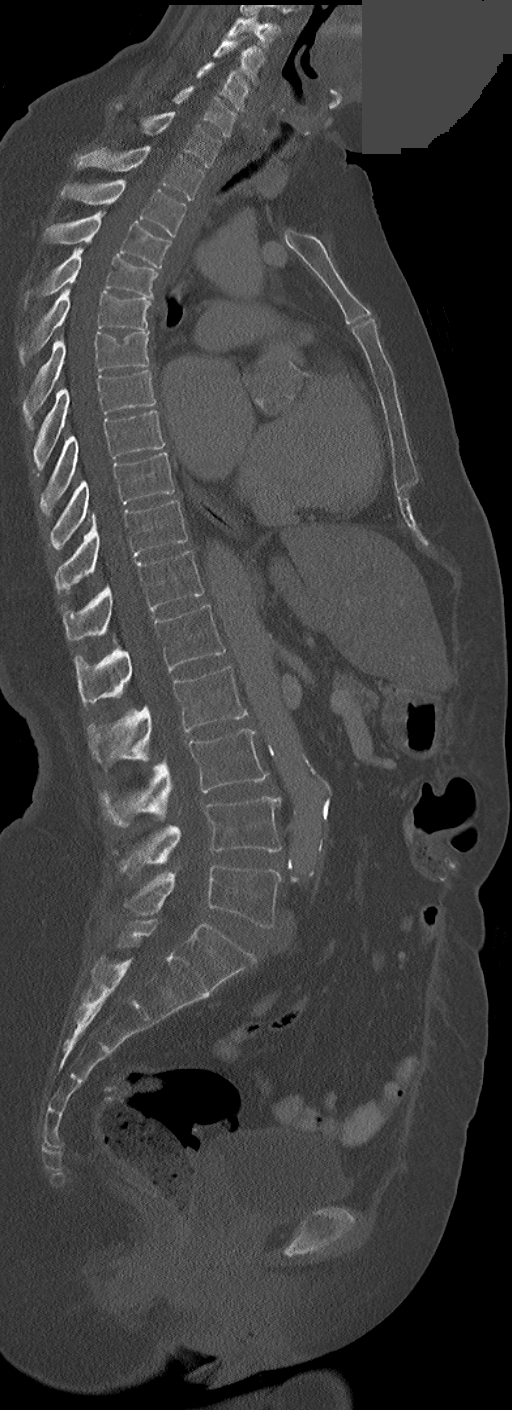 Spine CT. sagittal view. Bone window (WL 400, WW 1800). a uniform gray block covers part of the image. Boxes are given in columns x1, y1, x2, y2, the pixel coordinates of their top-left and bottom-right corners.
In these labels the thoracic vertebrae end at T11, so L1 follows T11.
| vertebra | x1 | y1 | x2 | y2 |
|---|---|---|---|---|
| C3 | 227 | 16 | 280 | 48 |
| C4 | 213 | 39 | 264 | 83 |
| C5 | 196 | 62 | 249 | 111 |
| C6 | 173 | 86 | 235 | 138 |
| C7 | 116 | 104 | 221 | 168 |
| T1 | 74 | 147 | 203 | 201 |
| T2 | 61 | 179 | 186 | 237 |
| T3 | 45 | 212 | 170 | 268 |
| T4 | 41 | 248 | 158 | 298 |
| T5 | 19 | 287 | 150 | 365 |
| T6 | 23 | 331 | 149 | 428 |
| T7 | 33 | 370 | 156 | 473 |
| T8 | 41 | 411 | 164 | 514 |
| T9 | 49 | 452 | 174 | 548 |
| T10 | 55 | 500 | 186 | 593 |
| T11 | 61 | 551 | 203 | 640 |
| L1 | 74 | 604 | 225 | 705 |
| L2 | 88 | 667 | 247 | 765 |
| L3 | 100 | 728 | 268 | 826 |
| L4 | 118 | 797 | 280 | 875 |
| L5 | 124 | 864 | 280 | 928 |